CT, spine. sagittal plane, index 325. 140 mm across the image
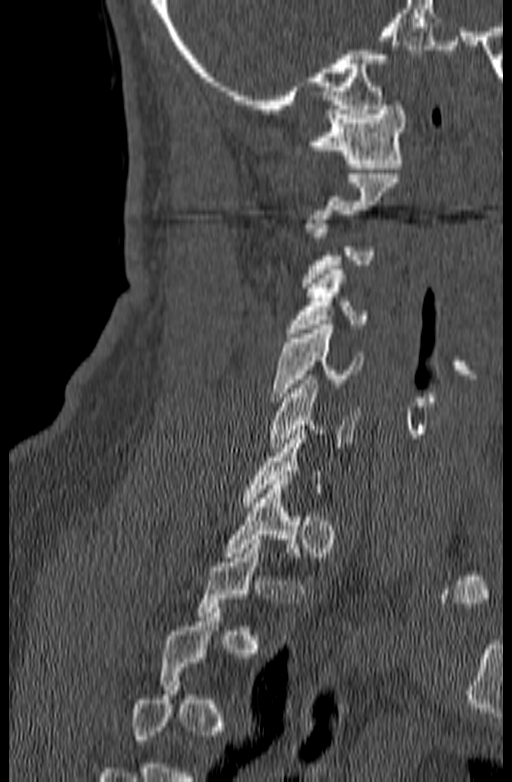 Not every vertebra on this slice has a box: a vertebra is boxed only from the first to the last slice where its cross-section is at least a third of its largest, and this slice is outside that range for at least one of them.
<vertebrae><v name="T1" x1="222" y1="480" x2="301" y2="561"/><v name="C6" x1="268" y1="375" x2="359" y2="452"/><v name="C5" x1="272" y1="325" x2="363" y2="401"/><v name="C4" x1="286" y1="265" x2="366" y2="337"/><v name="C1" x1="306" y1="105" x2="406" y2="168"/></vertebrae>